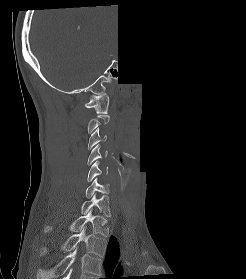
CT spine; sagittal view; Bone window (WL 400, WW 1800); a portion of the image is blanked out (constant pixel value)

Boxes are (x1, y1, x2, y2) in pixels.
Each vertebra is boxed only on the slices from the first to the last where its cross-section reaches a third of its largest, so a slice outside that range leaves it unboxed.
In this scan, the topmost labeled vertebra is C1 and the lowest is T2.
Vertebra bounding boxes:
- C1: (85, 94, 109, 113)
- C3: (87, 128, 106, 149)
- C4: (87, 144, 107, 165)
- C5: (87, 160, 108, 181)
- C6: (85, 177, 109, 197)
- C7: (81, 193, 111, 216)
- T1: (44, 209, 109, 236)
- T2: (39, 227, 106, 256)